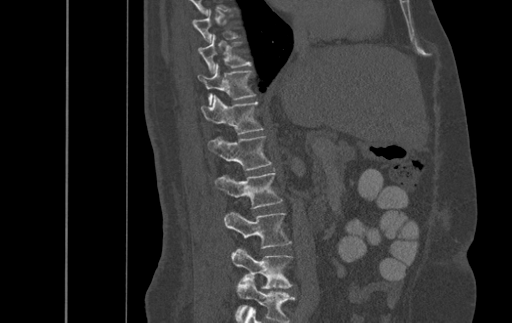 CT, spine. sagittal view. bone-window reconstruction

Box edges are left/top/right/bottom in pixels.
Not every vertebra on this slice has a box: a vertebra is boxed only from the first to the last slice where its cross-section is at least a third of its largest, and this slice is outside that range for at least one of them.
Labels in this scan begin with T9 at the top and end with L4 at the bottom.
| vertebra | x1 | y1 | x2 | y2 |
|---|---|---|---|---|
| T10 | 198 | 35 | 250 | 72 |
| T11 | 198 | 65 | 255 | 104 |
| T12 | 201 | 94 | 263 | 134 |
| L1 | 208 | 136 | 270 | 170 |
| L2 | 215 | 170 | 282 | 209 |
| L3 | 224 | 212 | 291 | 248 |
| L4 | 232 | 249 | 292 | 289 |